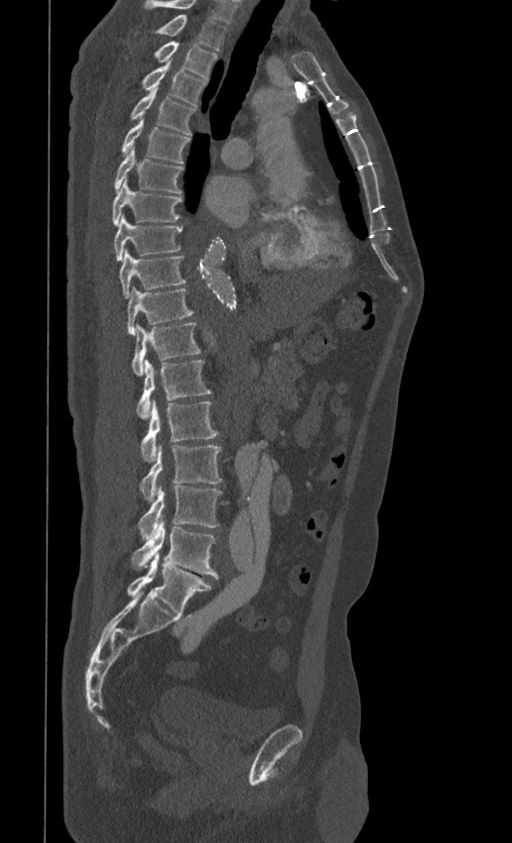

CT — sagittal view
Boxes are (x1, y1, x2, y2) in pixels.
Labels in this scan begin with T1 at the top and end with L5 at the bottom.
T1: (135, 14, 227, 50)
T2: (153, 42, 217, 80)
T3: (141, 65, 207, 106)
T4: (129, 91, 195, 135)
T5: (120, 119, 190, 163)
T6: (114, 147, 184, 193)
T7: (111, 180, 182, 225)
T8: (114, 216, 182, 261)
T9: (119, 249, 186, 298)
T10: (127, 288, 193, 335)
T11: (132, 322, 200, 375)
T12: (136, 359, 211, 418)
L1: (140, 401, 218, 461)
L2: (140, 446, 222, 500)
L3: (138, 485, 222, 539)
L4: (131, 520, 218, 578)
L5: (127, 553, 212, 613)